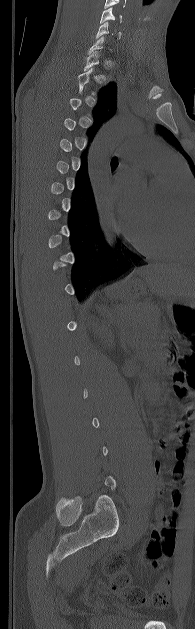 CT · sagittal view

A vertebra is boxed only from the first to the last slice where its cross-section is at least a third of its largest; slices outside that range leave it without a box.
<vertebrae><v name="C5" x1="100" y1="7" x2="122" y2="23"/><v name="C6" x1="96" y1="22" x2="121" y2="38"/></vertebrae>